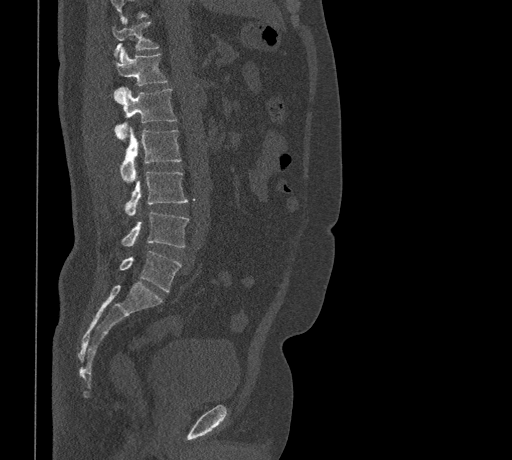 CT, spine — sagittal reformat — 512x460 px — image 461 mm wide
In the table, x1 and y1 are a box's top-left corner and x2 and y2 its bottom-right corner, in pixels.
Where the top of the scan cuts through a vertebra, that vertebra gets no label or box.
| vertebra | x1 | y1 | x2 | y2 |
|---|---|---|---|---|
| T11 | 112 | 19 | 158 | 57 |
| T12 | 113 | 48 | 167 | 86 |
| L1 | 113 | 87 | 176 | 139 |
| L2 | 120 | 127 | 181 | 181 |
| L3 | 125 | 170 | 188 | 216 |
| L4 | 121 | 211 | 189 | 247 |
| L5 | 119 | 251 | 181 | 292 |